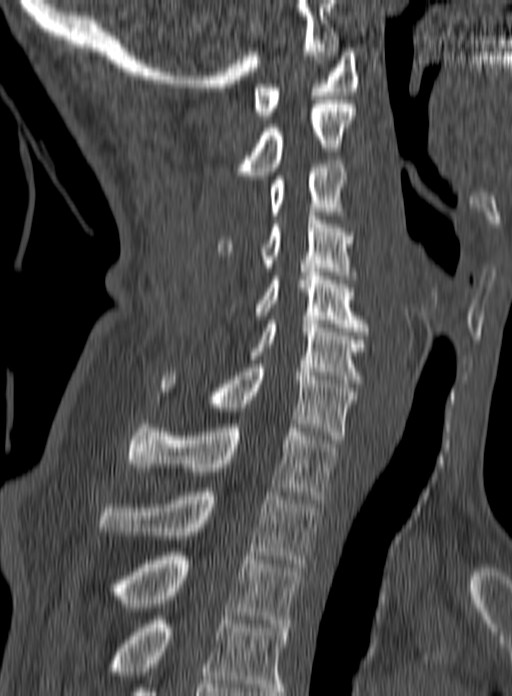 CT, spine · sagittal view · 160 mm wide. Bounding boxes as [x1, y1, x2, y2] in pixel coordinates. This scan's labels start at C1 at the top and end at T3 at the bottom. 10 vertebrae labeled — C1 at [253, 48, 358, 119]; C2 at [236, 100, 355, 175]; C3 at [270, 160, 346, 219]; C4 at [218, 212, 355, 279]; C5 at [256, 268, 368, 335]; C6 at [248, 320, 368, 383]; C7 at [161, 364, 357, 443]; T1 at [126, 420, 338, 499]; T2 at [97, 488, 317, 567]; T3 at [106, 552, 301, 627].